CT spine; sagittal reformat; image 149 mm wide; bone-window reconstruction
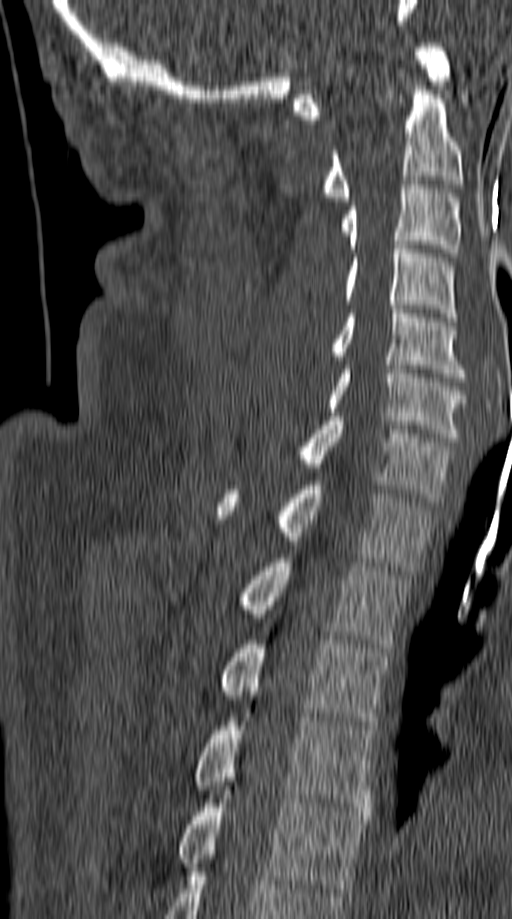 Coordinates as <box>x1,y1,x2,y2</box>.
Vertebra bounding boxes:
- C1: <box>294,43,451,119</box>
- C2: <box>324,86,464,201</box>
- C3: <box>341,180,461,257</box>
- C4: <box>345,241,457,321</box>
- C5: <box>333,309,466,377</box>
- C6: <box>327,365,466,441</box>
- C7: <box>300,417,454,502</box>
- T1: <box>216,481,433,570</box>
- T2: <box>242,558,409,652</box>
- T3: <box>221,640,389,729</box>
- T4: <box>194,709,375,815</box>
- T5: <box>180,786,367,892</box>